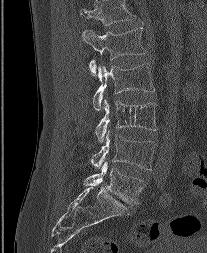

Computed tomography of the spine · sagittal view · 207 mm wide · Bone window (WL 400, WW 1800)

Boxes below are [x1, y1, x2, y2] in pixels.
This scan's labels start at L1 at the top and end at L5 at the bottom.
{"vertebrae":{"L1":[82,27,145,74],"L2":[93,63,154,110],"L3":[95,99,157,141],"L4":[91,131,156,169],"L5":[84,161,144,204]}}